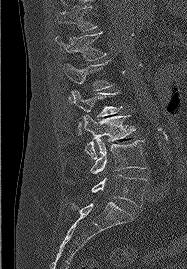
Spine computed tomography — sagittal view. Columns x1, y1, x2, y2 give each box's top-left and bottom-right pixels.
| vertebra | x1 | y1 | x2 | y2 |
|---|---|---|---|---|
| L5 | 91 | 175 | 146 | 207 |
| L4 | 90 | 138 | 146 | 173 |
| L3 | 81 | 115 | 135 | 159 |
| L2 | 71 | 91 | 122 | 134 |
| L1 | 63 | 61 | 113 | 100 |
| T12 | 55 | 32 | 106 | 60 |
| T11 | 57 | 6 | 97 | 31 |